Computed tomography of the spine · sagittal plane, index 225
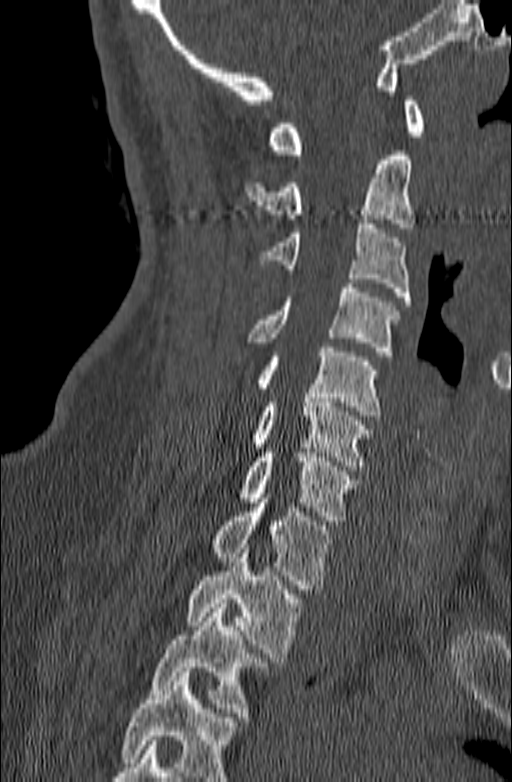
Each row gives a vertebra's box as x1, y1, x2, y2 in pixels: top-left corner, then bottom-right corner.
Where the bottom of the scan cuts through a vertebra, that vertebra gets no label or box.
| vertebra | x1 | y1 | x2 | y2 |
|---|---|---|---|---|
| C1 | 268 | 96 | 424 | 154 |
| C2 | 244 | 151 | 414 | 228 |
| C3 | 257 | 219 | 411 | 305 |
| C4 | 246 | 283 | 399 | 356 |
| C5 | 254 | 347 | 381 | 420 |
| C6 | 250 | 393 | 373 | 470 |
| C7 | 239 | 448 | 359 | 525 |
| T1 | 210 | 494 | 333 | 589 |
| T2 | 185 | 549 | 304 | 662 |
| T3 | 151 | 603 | 267 | 721 |